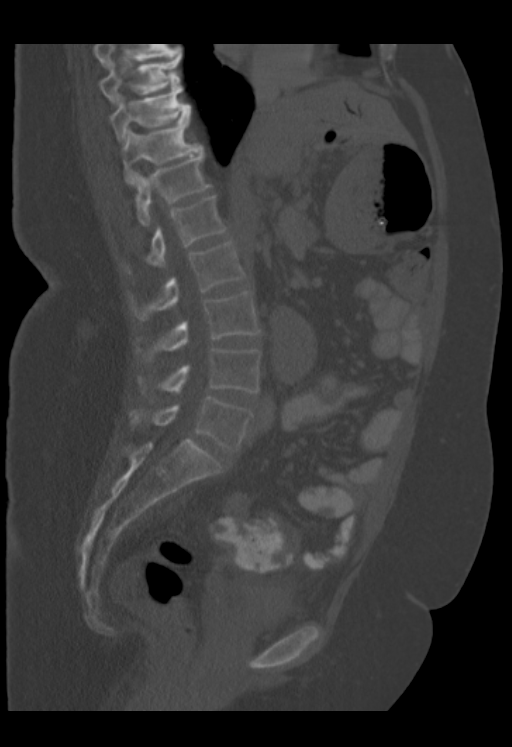 Computed tomography of the spine — sagittal view — 512x747 px — the image spans 353 mm across

In this scan, the topmost labeled vertebra is T9 and the lowest is L5.
<vertebrae><v name="T9" x1="99" y1="55" x2="180" y2="103"/><v name="T10" x1="109" y1="87" x2="191" y2="141"/><v name="T11" x1="122" y1="117" x2="202" y2="183"/><v name="T12" x1="134" y1="152" x2="211" y2="226"/><v name="L1" x1="145" y1="196" x2="225" y2="267"/><v name="L2" x1="131" y1="241" x2="246" y2="320"/><v name="L3" x1="137" y1="292" x2="260" y2="360"/><v name="L4" x1="139" y1="348" x2="260" y2="392"/><v name="L5" x1="129" y1="396" x2="252" y2="450"/></vertebrae>